Computed tomography of the spine — sagittal view — the image spans 391 mm across — bone-window reconstruction
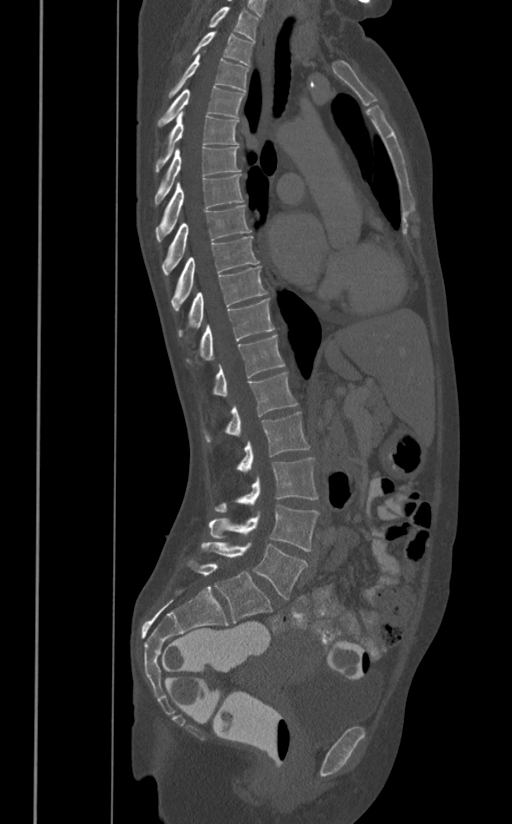 In the table, x1 and y1 are a box's top-left corner and x2 and y2 its bottom-right corner, in pixels.
| vertebra | x1 | y1 | x2 | y2 |
|---|---|---|---|---|
| T1 | 208 | 6 | 258 | 41 |
| T2 | 191 | 32 | 253 | 65 |
| T3 | 168 | 54 | 249 | 97 |
| T4 | 157 | 86 | 244 | 126 |
| T5 | 156 | 111 | 238 | 172 |
| T6 | 154 | 146 | 240 | 205 |
| T7 | 156 | 174 | 244 | 241 |
| T8 | 162 | 204 | 252 | 274 |
| T9 | 171 | 236 | 259 | 310 |
| T10 | 179 | 266 | 267 | 337 |
| T11 | 200 | 298 | 274 | 360 |
| T12 | 211 | 334 | 284 | 396 |
| L1 | 205 | 372 | 297 | 441 |
| L2 | 237 | 411 | 309 | 473 |
| L3 | 215 | 457 | 317 | 512 |
| L4 | 208 | 504 | 318 | 551 |
| L5 | 202 | 542 | 308 | 599 |